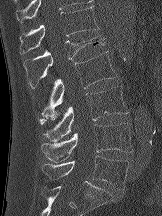

CT spine; sagittal view; W/L 1800/400 HU
<vertebrae><v name="T12" x1="19" y1="6" x2="98" y2="54"/><v name="L1" x1="23" y1="36" x2="105" y2="86"/><v name="L2" x1="41" y1="51" x2="116" y2="117"/><v name="L3" x1="38" y1="86" x2="128" y2="142"/><v name="L4" x1="41" y1="123" x2="133" y2="162"/><v name="L5" x1="41" y1="155" x2="129" y2="190"/></vertebrae>